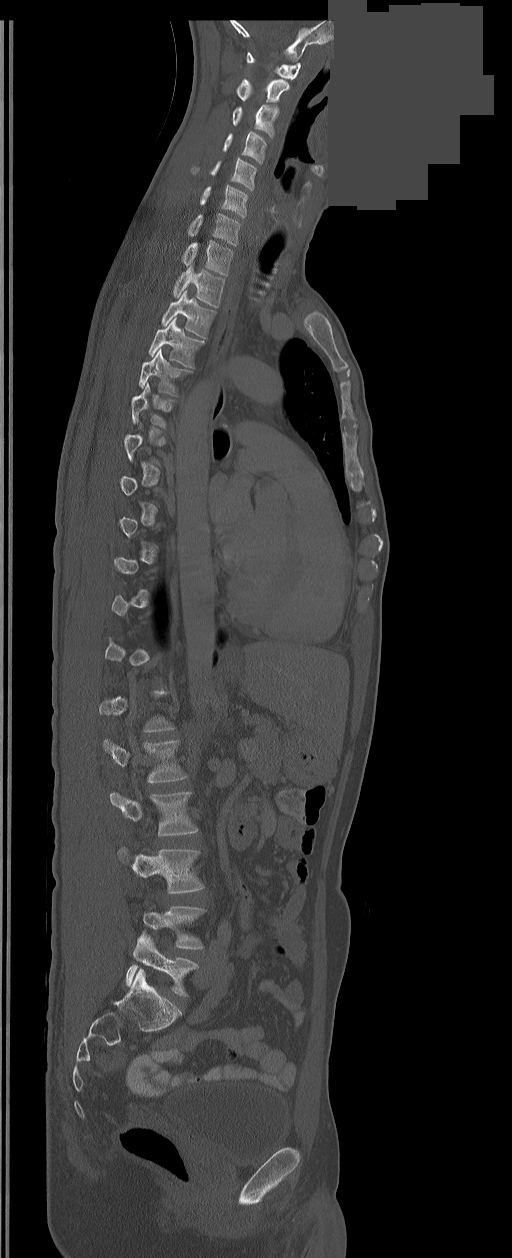
Spine CT; sagittal reformat; 512x1258 px; the image is 350 mm wide; part of the image has been replaced by a constant value
A vertebra is boxed only from the first to the last slice where its cross-section is at least a third of its largest; slices outside that range leave it without a box.
The labels name a sixth lumbar vertebra for this spine: L6, after L5.
<vertebrae><v name="C1" x1="246" y1="52" x2="301" y2="80"/><v name="C2" x1="236" y1="79" x2="289" y2="102"/><v name="C3" x1="231" y1="104" x2="277" y2="138"/><v name="C4" x1="223" y1="132" x2="265" y2="163"/><v name="C5" x1="192" y1="157" x2="257" y2="191"/><v name="C6" x1="201" y1="185" x2="248" y2="217"/><v name="C7" x1="187" y1="214" x2="239" y2="245"/><v name="T1" x1="182" y1="240" x2="232" y2="276"/><v name="T2" x1="173" y1="265" x2="225" y2="306"/><v name="T3" x1="161" y1="290" x2="214" y2="337"/><v name="T4" x1="148" y1="317" x2="204" y2="368"/><v name="T5" x1="139" y1="348" x2="188" y2="397"/><v name="T6" x1="131" y1="383" x2="172" y2="428"/><v name="L2" x1="103" y1="739" x2="186" y2="782"/><v name="L3" x1="110" y1="792" x2="198" y2="836"/><v name="L4" x1="117" y1="847" x2="203" y2="893"/><v name="L5" x1="142" y1="906" x2="204" y2="949"/><v name="L6" x1="126" y1="932" x2="198" y2="997"/></vertebrae>